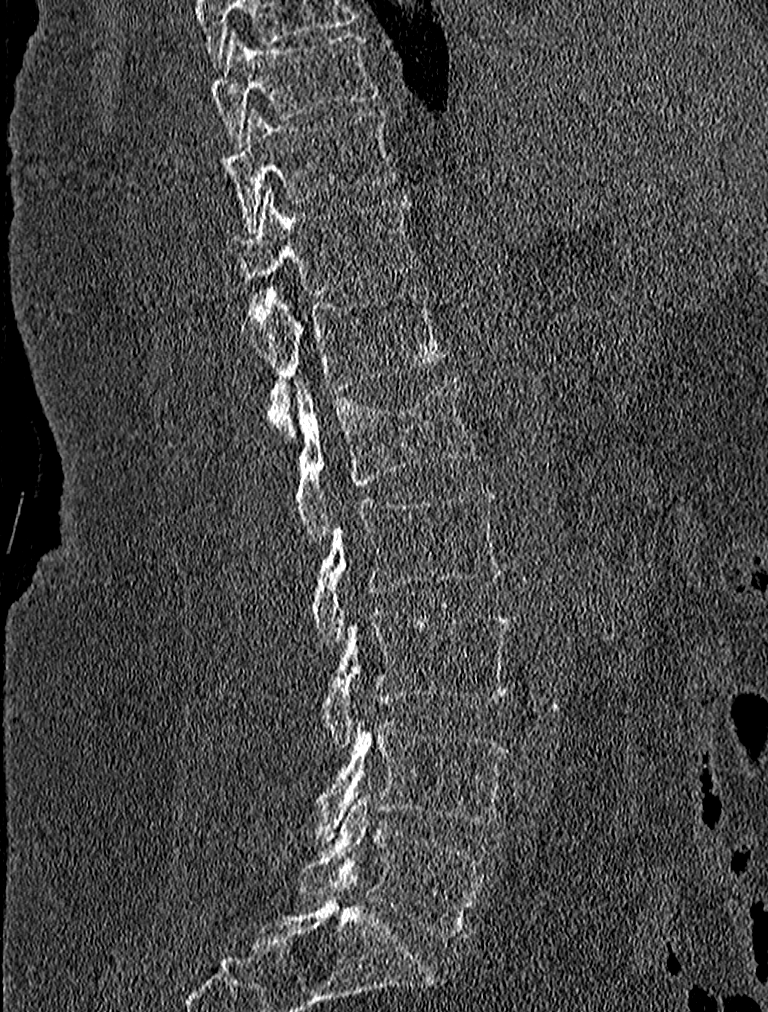

Computed tomography of the spine. sagittal view. 768x1012 px
<vertebrae><v name="L5" x1="300" y1="793" x2="488" y2="938"/><v name="L4" x1="303" y1="719" x2="509" y2="842"/><v name="L3" x1="320" y1="611" x2="512" y2="748"/><v name="L2" x1="310" y1="487" x2="505" y2="648"/><v name="L1" x1="295" y1="376" x2="475" y2="544"/><v name="T12" x1="252" y1="288" x2="444" y2="441"/><v name="T11" x1="227" y1="190" x2="414" y2="293"/><v name="T10" x1="222" y1="108" x2="397" y2="229"/><v name="T9" x1="212" y1="30" x2="377" y2="148"/></vertebrae>